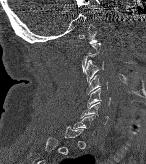

Spine computed tomography — sagittal reformat
A vertebra is boxed only from the first to the last slice where its cross-section is at least a third of its largest; slices outside that range leave it without a box.
<vertebrae><v name="C1" x1="78" y1="25" x2="99" y2="44"/><v name="C3" x1="84" y1="60" x2="104" y2="81"/><v name="C4" x1="87" y1="75" x2="108" y2="94"/><v name="C5" x1="87" y1="88" x2="111" y2="107"/><v name="C6" x1="80" y1="102" x2="107" y2="124"/></vertebrae>